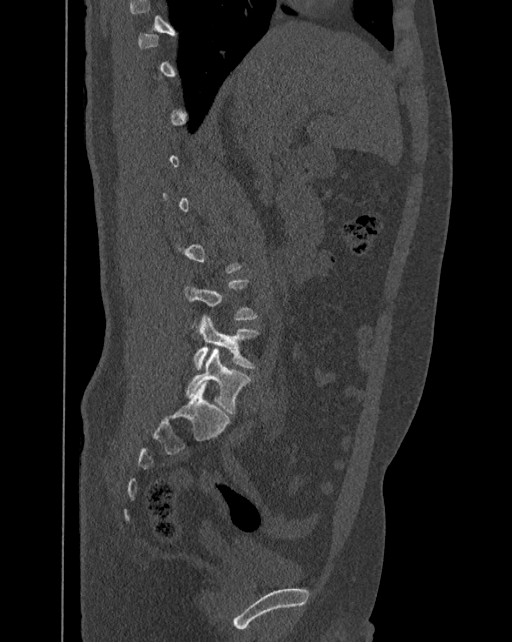 Spine CT · 392 mm across the image · sagittal view · bone window · 512x642 px
Box values are [left, top, right, bottom] in pixels.
Not every vertebra on this slice has a box: a vertebra is boxed only from the first to the last slice where its cross-section is at least a third of its largest, and this slice is outside that range for at least one of them.
These labels give the spine a sixth lumbar vertebra, L6, below L5.
{"vertebrae":{"L5":[193,315,259,369],"L6":[185,348,251,414]}}